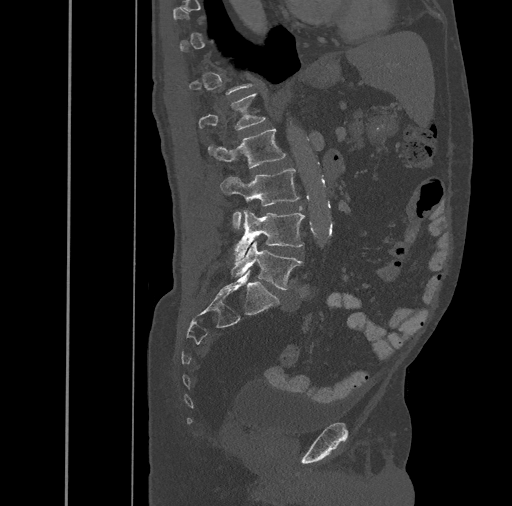
CT spine · sagittal view · image width 461 mm · bone-window reconstruction. Boxes: x1:y1:x2:y2 in pixels. A vertebra gets a box only on the slices from the first to the last where its cross-section is at least a third of its largest; on a slice outside that range it gets none. The labeled vertebrae in this slice are: L1 at 199:94:266:130, L2 at 208:128:285:168, L3 at 220:168:299:228, L4 at 234:211:304:260, L5 at 231:241:302:290.